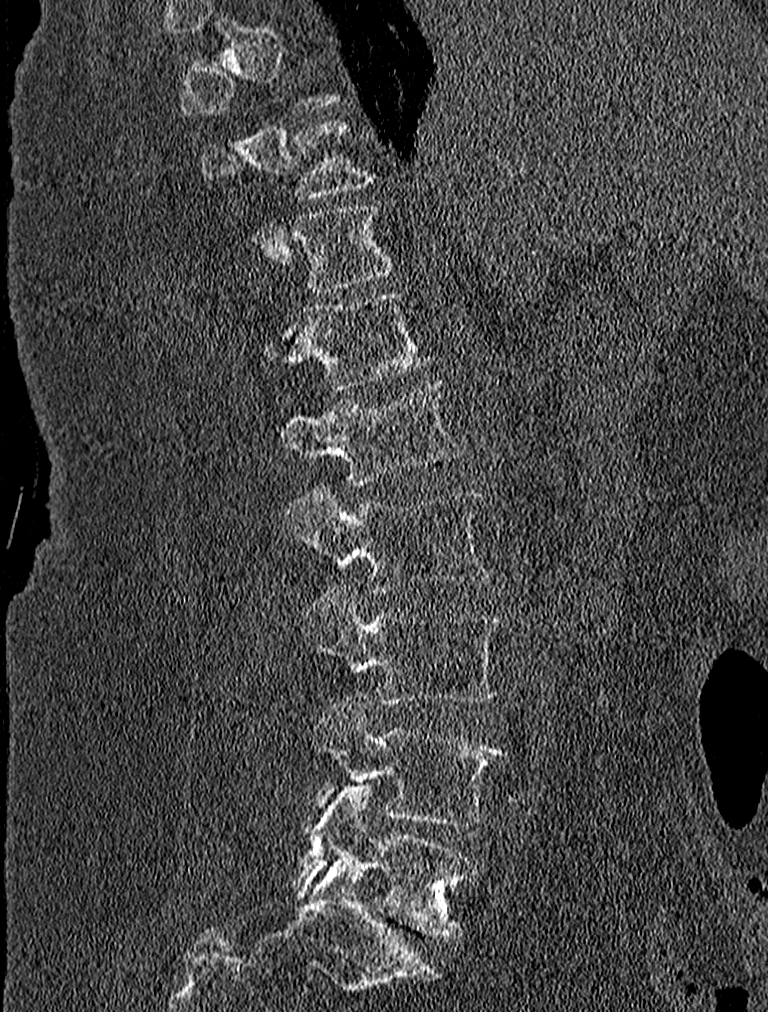
CT spine. sagittal view. W/L 1800/400 HU. 768x1012 px
A vertebra gets a box only on the slices from the first to the last where its cross-section is at least a third of its largest; on a slice outside that range it gets none.
<vertebrae><v name="T10" x1="201" y1="119" x2="373" y2="198"/><v name="T11" x1="292" y1="202" x2="400" y2="293"/><v name="T12" x1="262" y1="291" x2="434" y2="389"/><v name="L1" x1="276" y1="379" x2="465" y2="483"/><v name="L2" x1="283" y1="481" x2="492" y2="593"/><v name="L3" x1="301" y1="583" x2="505" y2="704"/><v name="L4" x1="311" y1="696" x2="504" y2="826"/><v name="L5" x1="293" y1="786" x2="478" y2="938"/></vertebrae>